Spine computed tomography; sagittal view; 712x702 px
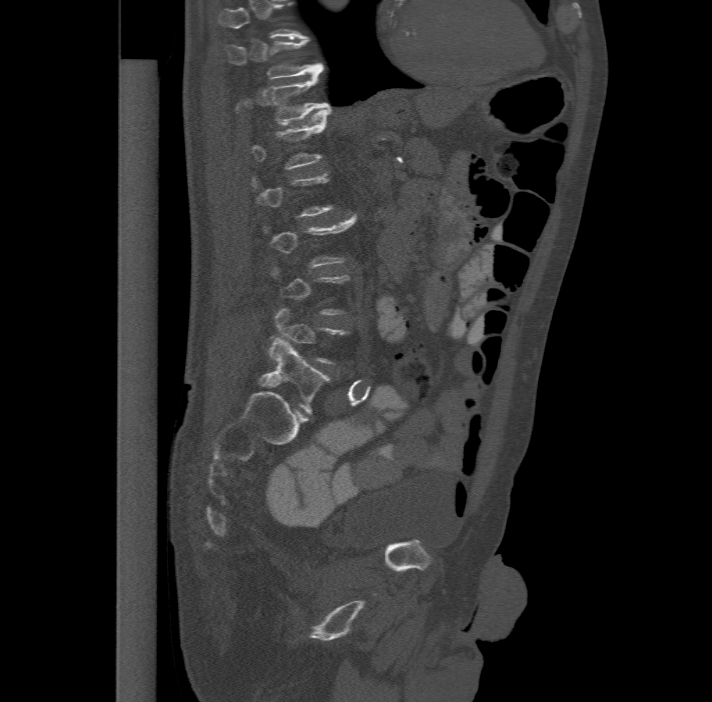 Boxes: x1 y1 x2 y2 (pixel coords, space-separated). Each vertebra is boxed only on the slices from the first to the last where its cross-section reaches a third of its largest, so a slice outside that range leaves it unboxed. The highest labeled vertebra in this scan is T11; the lowest is L6. The labels name a sixth lumbar vertebra for this spine: L6, after L5. The labeled vertebrae in this slice are: L6 at 259 336 330 413, L5 at 270 307 349 364, L3 at 263 213 355 266, L1 at 249 109 330 169, T12 at 236 71 330 124, T11 at 225 37 323 78.